Spine CT. sagittal plane, index 227. 17 vertebrae labeled in this scan
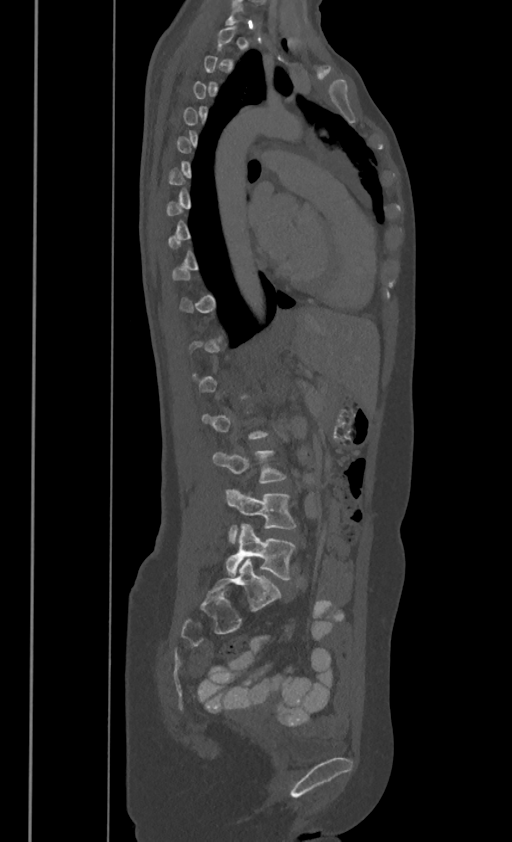
A vertebra gets a box only on the slices from the first to the last where its cross-section is at least a third of its largest; on a slice outside that range it gets none.
<vertebrae><v name="L3" x1="213" y1="449" x2="285" y2="482"/><v name="L4" x1="227" y1="489" x2="296" y2="542"/><v name="L5" x1="225" y1="523" x2="295" y2="579"/></vertebrae>